Spine CT — the image is 149 mm wide — Sagittal slice 276/512 — bone-window reconstruction — scan covers 12 annotated vertebrae
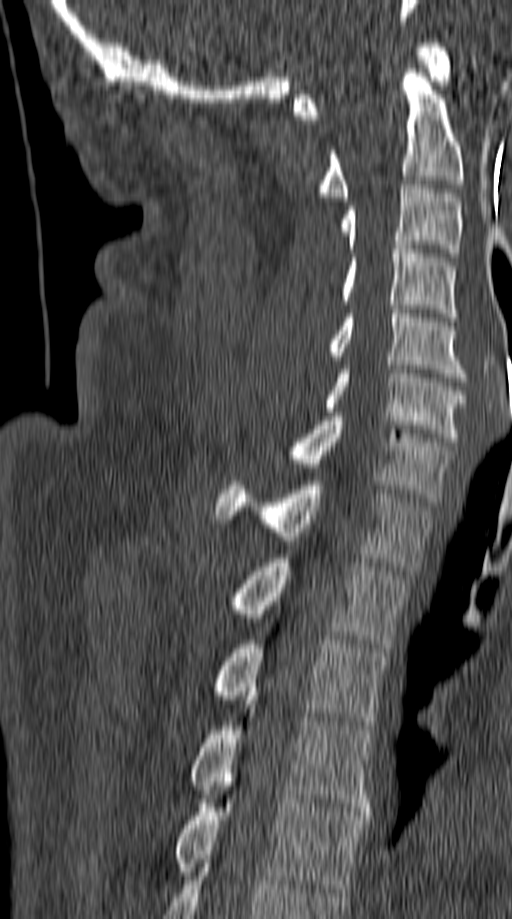 <vertebrae><v name="T5" x1="176" y1="795" x2="366" y2="892"/><v name="T4" x1="190" y1="700" x2="375" y2="815"/><v name="T3" x1="214" y1="640" x2="389" y2="729"/><v name="T2" x1="235" y1="554" x2="409" y2="648"/><v name="T1" x1="216" y1="481" x2="433" y2="570"/><v name="C7" x1="290" y1="412" x2="452" y2="502"/><v name="C6" x1="324" y1="365" x2="466" y2="441"/><v name="C5" x1="329" y1="309" x2="466" y2="381"/><v name="C4" x1="341" y1="245" x2="457" y2="321"/><v name="C3" x1="341" y1="185" x2="461" y2="257"/><v name="C2" x1="321" y1="69" x2="464" y2="201"/><v name="C1" x1="293" y1="43" x2="452" y2="119"/></vertebrae>